Spine CT; Sagittal slice 43/58; W/L 1800/400 HU; image 291 mm wide
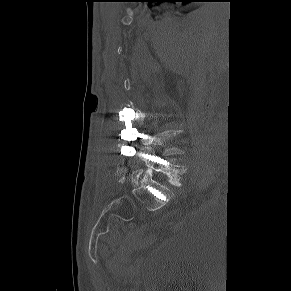 Boxes below are [x1, y1, x2, y2] in pixels.
Each vertebra is boxed only on the slices from the first to the last where its cross-section reaches a third of its largest, so a slice outside that range leaves it unboxed.
{"vertebrae":{"L5":[131,152,187,186],"L4":[139,130,183,155]}}